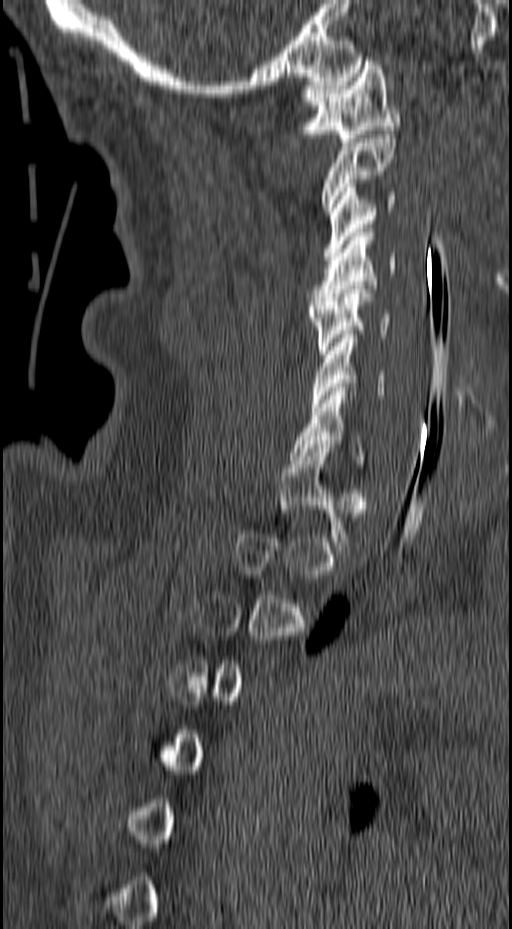

Spine CT. sagittal reformat

Coordinates as <box>x1,y1,x2,y2</box>.
A vertebra gets a box only on the slices from the first to the last where its cross-section is at least a third of its largest; on a slice outside that range it gets none.
C1: <box>297,57,399,142</box>
C2: <box>321,130,395,215</box>
C3: <box>322,183,395,260</box>
C4: <box>309,228,396,305</box>
C5: <box>309,285,392,354</box>
C6: <box>311,334,385,407</box>
C7: <box>291,387,362,460</box>